Spine CT; sagittal reformat; 350x440 px
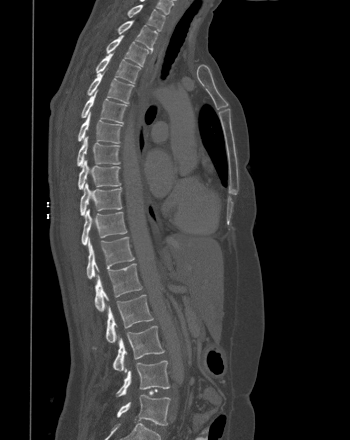
Boxes: x1:y1:x2:y2 in pixels.
L5: 117:394:170:425
L4: 117:360:169:396
L3: 113:326:164:371
L2: 93:294:153:348
L1: 94:263:142:311
T12: 86:237:134:279
T11: 81:209:127:245
T10: 80:182:122:216
T9: 78:159:120:189
T8: 77:136:119:166
T7: 78:112:122:143
T6: 81:90:127:122
T5: 87:72:133:103
T4: 95:52:140:83
T3: 106:35:149:65
T2: 117:21:158:50
T1: 128:5:165:30